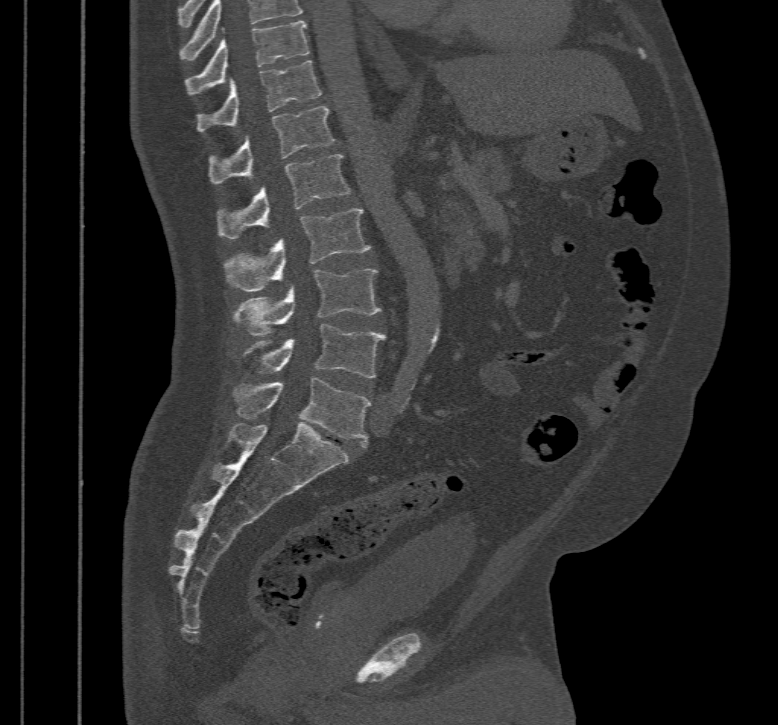 Spine computed tomography · sagittal reformat · 467 mm across the image · bone-window reconstruction · 778x725 px
Each box is [x1, y1, x2, y2] in pixels: top-left corner, then bottom-right corner.
The highest labeled vertebra in this scan is T10; the lowest is L5.
{"vertebrae":{"T10":[185,20,309,94],"T11":[196,60,321,131],"T12":[208,105,333,183],"L1":[216,154,349,239],"L2":[225,209,370,291],"L3":[236,268,381,336],"L4":[263,324,385,378],"L5":[239,377,370,448]}}